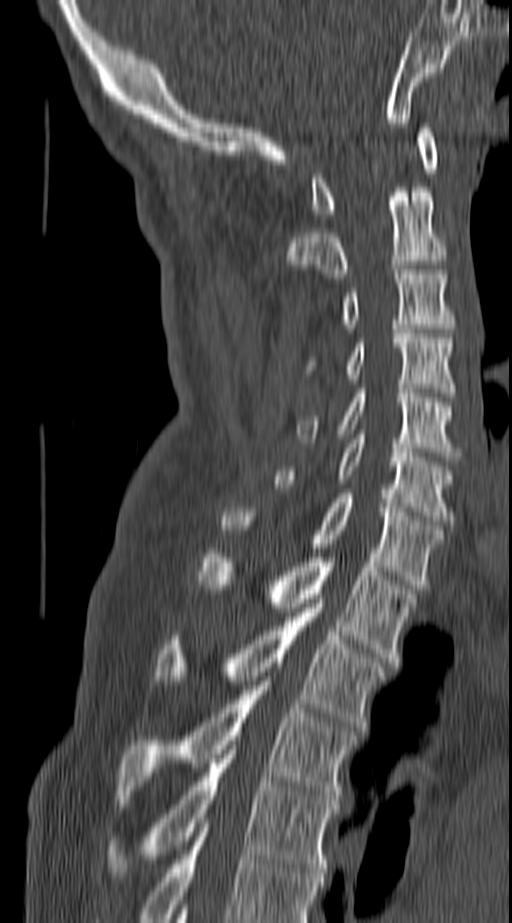

Spine CT — sagittal reformat — Bone window (WL 400, WW 1800) — 512x923 px
Columns x1, y1, x2, y2 give each box's top-left and bottom-right pixels.
Labels in this scan begin with C1 at the top and end with T4 at the bottom.
| vertebra | x1 | y1 | x2 | y2 |
|---|---|---|---|---|
| C1 | 312 | 128 | 436 | 218 |
| C2 | 287 | 187 | 447 | 278 |
| C3 | 341 | 270 | 454 | 328 |
| C4 | 309 | 329 | 454 | 397 |
| C5 | 296 | 389 | 461 | 456 |
| C6 | 276 | 434 | 454 | 525 |
| C7 | 221 | 494 | 443 | 589 |
| T1 | 199 | 549 | 414 | 662 |
| T2 | 155 | 603 | 384 | 730 |
| T3 | 118 | 681 | 355 | 804 |
| T4 | 107 | 750 | 337 | 877 |